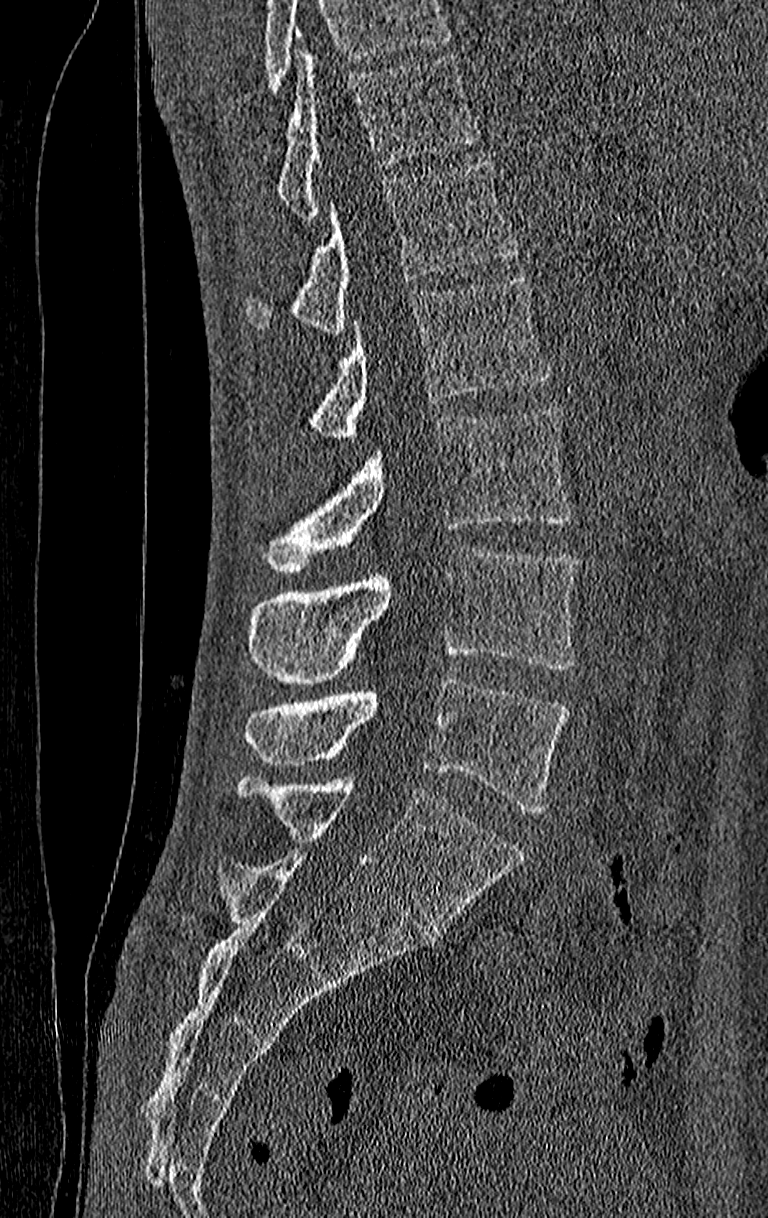

Computed tomography of the spine; sagittal view; 210 mm wide; 768x1218 px
Each box is [x1, y1, x2, y2] in pixels: top-left corner, then bottom-right corner.
No box is given to a vertebra that the top edge of the scan cuts off.
Labels in this scan begin with T11 at the top and end with L4 at the bottom.
{"vertebrae":{"L4":[244,678,568,812],"L3":[247,546,579,684],"L2":[262,406,572,570],"L1":[310,275,550,438],"T12":[247,158,521,333],"T11":[277,48,480,220]}}